CT · sagittal reformat · W/L 1800/400 HU · image width 287 mm
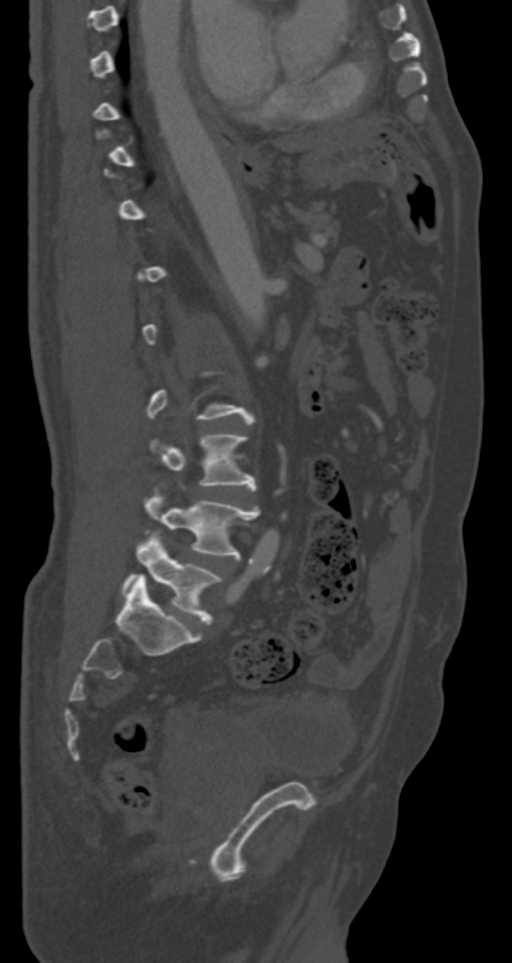
Boxes are (x1, y1, x2, y2) in pixels.
A vertebra is boxed only from the first to the last slice where its cross-section is at least a third of its largest; slices outside that range leave it without a box.
Vertebra bounding boxes:
- L3: (149, 433, 255, 490)
- L4: (144, 491, 259, 558)
- L5: (123, 531, 222, 623)